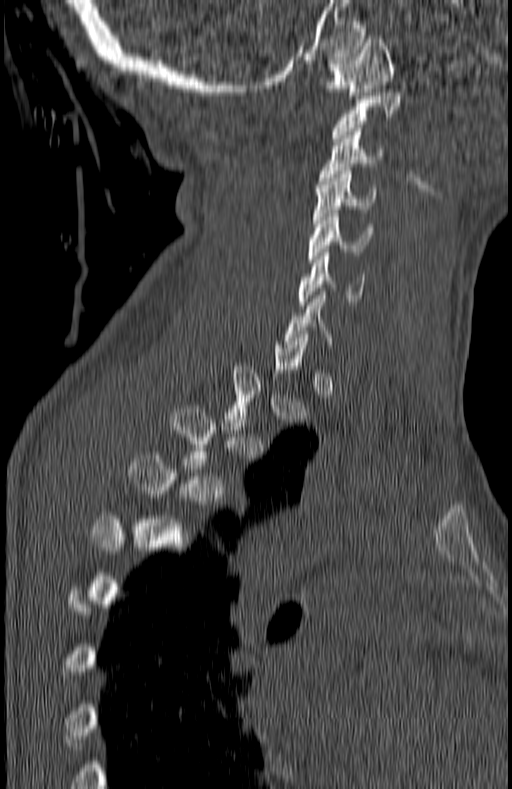

Spine CT. sagittal reformat. bone window. 180 mm image width. 512x789 px
Boxes: x1 y1 x2 y2 (pixel coords, space-separated).
A vertebra gets a box only on the slices from the first to the last where its cross-section is at least a third of its largest; on a slice outside that range it gets none.
Vertebra bounding boxes:
- C7: 285 295 333 355
- C6: 300 252 364 305
- C5: 308 210 373 262
- C4: 314 171 375 223
- C3: 319 128 383 184
- C2: 334 89 401 141
- C1: 325 36 393 99